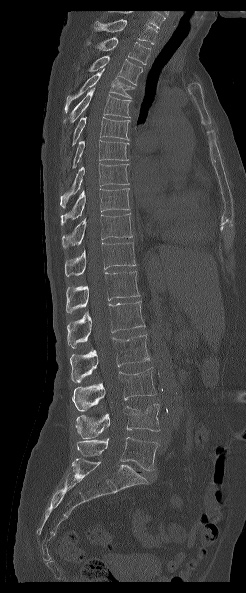

Spine computed tomography. sagittal view. bone window. 246x593 px

Box edges are left/top/right/bottom in pixels.
Labels in this scan begin with T1 at the top and end with L5 at the bottom.
| vertebra | x1 | y1 | x2 | y2 |
|---|---|---|---|---|
| T1 | 93 | 19 | 158 | 44 |
| T2 | 87 | 37 | 150 | 64 |
| T3 | 88 | 56 | 142 | 84 |
| T4 | 64 | 68 | 134 | 113 |
| T5 | 63 | 87 | 131 | 123 |
| T6 | 72 | 117 | 130 | 145 |
| T7 | 72 | 140 | 129 | 168 |
| T8 | 60 | 163 | 129 | 208 |
| T9 | 61 | 188 | 129 | 225 |
| T10 | 62 | 213 | 132 | 248 |
| T11 | 64 | 242 | 135 | 276 |
| T12 | 66 | 271 | 141 | 313 |
| L1 | 67 | 298 | 145 | 347 |
| L2 | 70 | 335 | 150 | 382 |
| L3 | 72 | 367 | 156 | 411 |
| L4 | 76 | 404 | 159 | 438 |
| L5 | 77 | 437 | 158 | 470 |